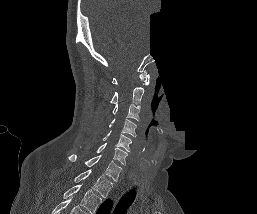
CT spine · sagittal view · bone window · the image is 257 mm wide · an area of the scan was removed and filled with constant pixels

In this scan, the topmost labeled vertebra is C1 and the lowest is T1.
<vertebrae><v name="T1" x1="74" y1="169" x2="113" y2="198"/><v name="C7" x1="68" y1="154" x2="122" y2="181"/><v name="C6" x1="96" y1="143" x2="127" y2="165"/><v name="C5" x1="103" y1="130" x2="131" y2="151"/><v name="C4" x1="108" y1="118" x2="136" y2="136"/><v name="C3" x1="112" y1="103" x2="140" y2="120"/><v name="C2" x1="110" y1="87" x2="144" y2="104"/><v name="C1" x1="112" y1="69" x2="149" y2="85"/></vertebrae>